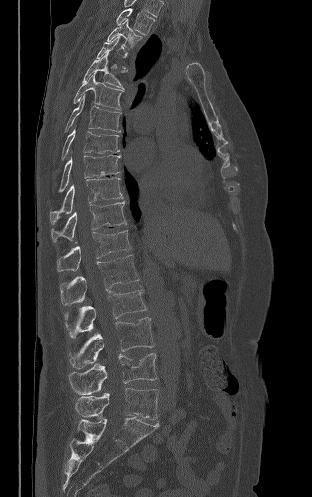
Spine computed tomography — sagittal view — W/L 1800/400 HU — image width 312 mm

Box values are [left, top, right, bottom] in pixels.
A vertebra is boxed only from the first to the last slice where its cross-section is at least a third of its largest; slices outside that range leave it without a box.
{"vertebrae":{"T2":[116,8,155,34],"T3":[107,19,142,49],"T5":[82,53,127,89],"T6":[73,72,123,109],"T7":[65,94,121,132],"T8":[62,128,119,160],"T9":[58,155,120,192],"T10":[49,177,123,224],"T11":[51,201,126,242],"T12":[57,230,131,272],"L1":[60,255,139,305],"L2":[64,289,146,337],"L3":[68,317,154,368],"L4":[69,353,156,394],"L5":[75,388,158,420]}}